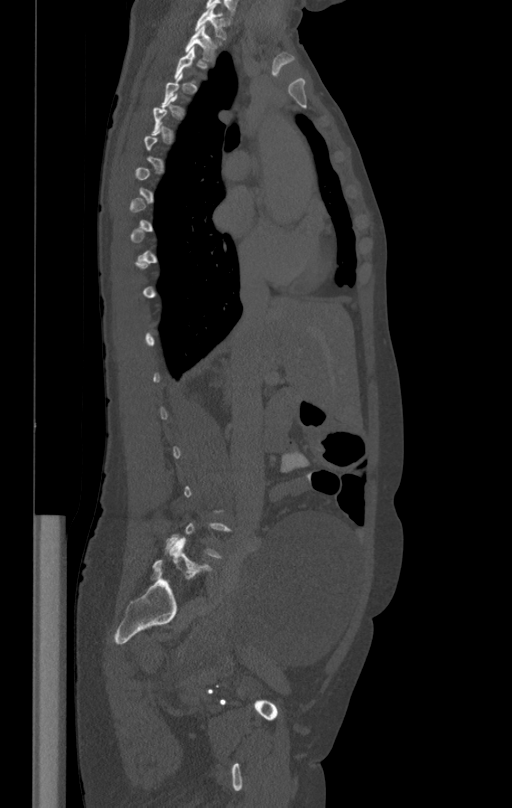
CT, spine; sagittal reformat; 412 mm across the image; Bone window (WL 400, WW 1800); 512x808 px
Each vertebra maps to its box as [x1, y1, x2, y2], the pixel coordinates of its top-left and bottom-right corners.
Each vertebra is boxed only on the slices from the first to the last where its cross-section reaches a third of its largest, so a slice outside that range leaves it unboxed.
{"vertebrae":{"T1":[195,6,226,39],"T2":[185,26,220,62]}}